CT, spine; sagittal reformat; 795x993 px; scan covers 9 annotated vertebrae
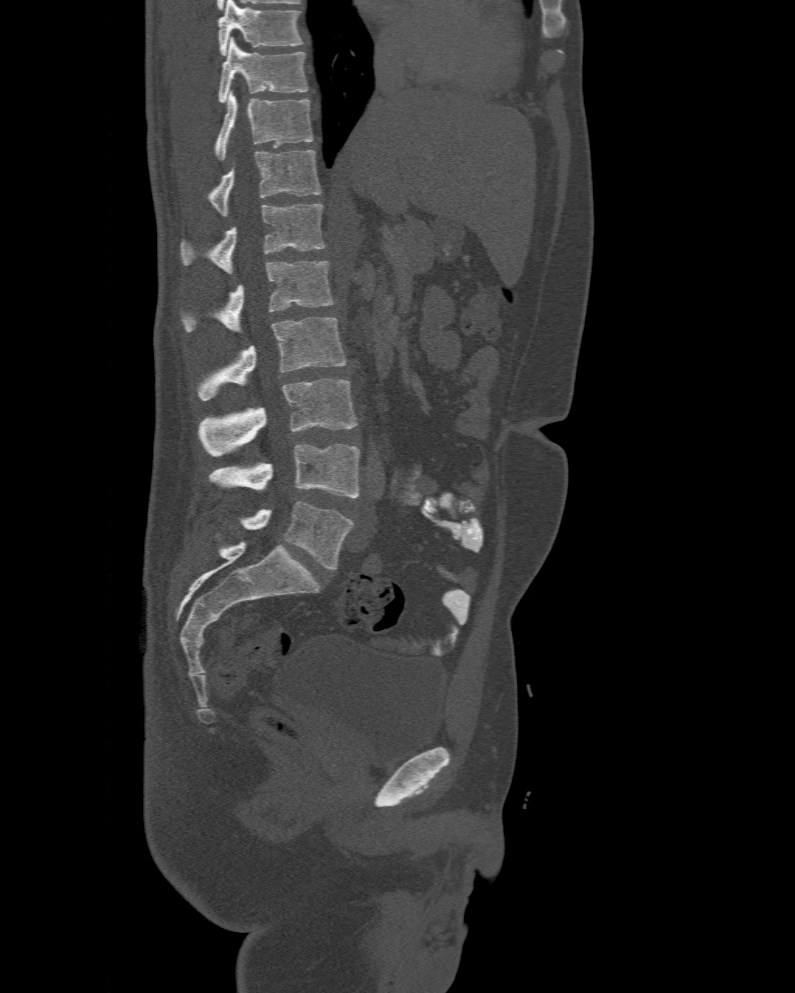
This scan's labels start at T10 at the top and end at L6 at the bottom.
The labels name a sixth lumbar vertebra for this spine: L6, after L5.
<vertebrae><v name="T10" x1="219" y1="37" x2="308" y2="102"/><v name="T11" x1="213" y1="93" x2="313" y2="161"/><v name="T12" x1="207" y1="150" x2="320" y2="216"/><v name="L1" x1="180" y1="203" x2="325" y2="273"/><v name="L2" x1="182" y1="262" x2="336" y2="332"/><v name="L3" x1="197" y1="317" x2="345" y2="400"/><v name="L4" x1="199" y1="378" x2="358" y2="456"/><v name="L5" x1="208" y1="443" x2="359" y2="497"/><v name="L6" x1="242" y1="502" x2="353" y2="569"/></vertebrae>